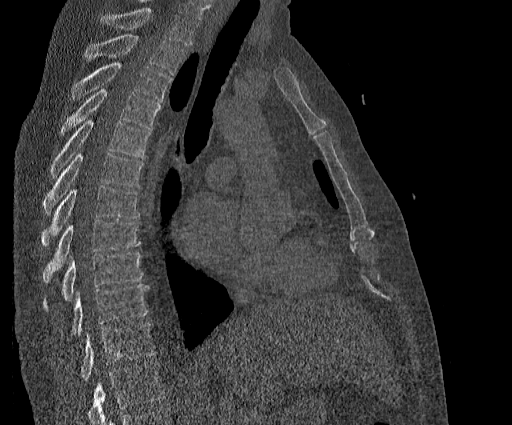

Computed tomography of the spine. sagittal view. bone-window reconstruction. 512x425 px. image width 384 mm
Each box is [x1, y1, x2, y2] in pixels: top-left corner, then bottom-right corner.
Where the top of the scan cuts through a vertebra, that vertebra gets no label or box.
Labels in this scan begin with T2 at the top and end with T11 at the bottom.
{"vertebrae":{"T2":[85,33,184,74],"T3":[72,63,171,100],"T4":[61,89,160,131],"T5":[50,120,149,176],"T6":[42,153,143,214],"T7":[41,187,139,247],"T8":[42,220,140,283],"T9":[42,252,143,311],"T10":[70,284,148,335],"T11":[80,323,156,380]}}